Computed tomography of the spine — sagittal view — Bone window (WL 400, WW 1800) — 512x506 px
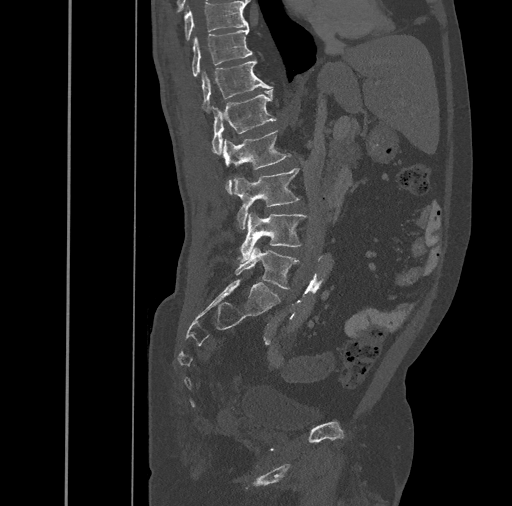
Boxes below are [x1, y1, x2, y2] in pixels.
{"vertebrae":{"L5":[235,246,299,288],"L4":[237,213,306,261],"L3":[234,168,299,228],"L2":[223,131,290,194],"L1":[211,89,276,154],"T12":[201,59,272,113],"T11":[191,27,252,76],"T10":[184,1,248,40]}}